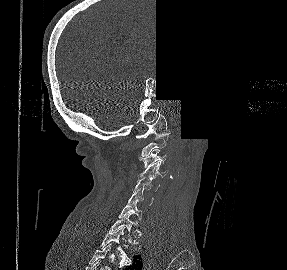
Computed tomography of the spine. sagittal view. 287x270 px. 287 mm wide. part of the image is constant black where the scan was masked
Bounding boxes as [x1, y1, x2, y2] in pixel coordinates.
Vertebra bounding boxes:
- C1: [136, 112, 170, 138]
- C2: [141, 135, 169, 156]
- C3: [138, 149, 166, 168]
- C4: [138, 161, 168, 179]
- C5: [133, 175, 159, 191]
- C6: [128, 189, 153, 208]
- C7: [118, 197, 141, 221]
- T1: [107, 213, 140, 248]
- T2: [99, 228, 132, 264]